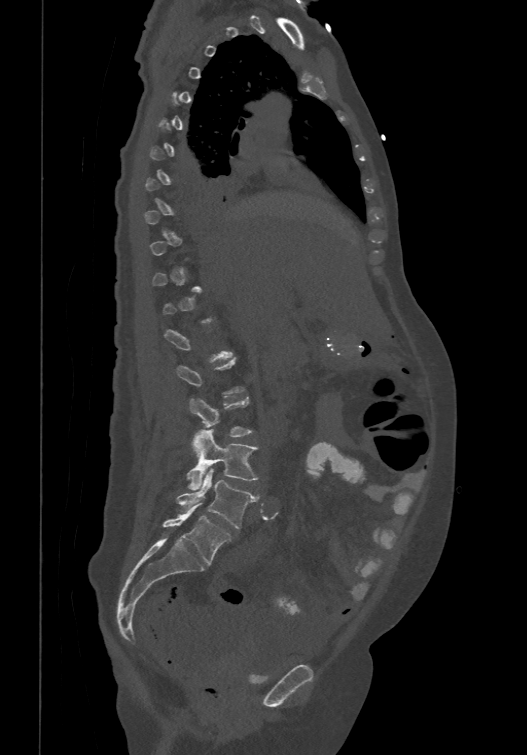 Spine CT; sagittal view; bone window
Each box given as x1,y1,x2,y2.
Not every vertebra on this slice has a box: a vertebra is boxed only from the first to the last slice where its cross-section is at least a third of its largest, and this slice is outside that range for at least one of them.
The labels name a sixth lumbar vertebra for this spine: L6, after L5.
Vertebra bounding boxes:
- L3: x1=189, y1=397, x2=252, y2=452
- L4: x1=186, y1=429, x2=258, y2=490
- L5: x1=177, y1=469, x2=258, y2=528
- L6: x1=161, y1=503, x2=230, y2=564